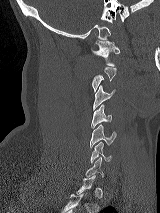 CT spine — sagittal view — Bone window (WL 400, WW 1800)
Each box given as x1,y1,x2,y2. Not every vertebra on this slice has a box: a vertebra is boxed only from the first to the last slice where its cross-section is at least a third of its largest, and this slice is outside that range for at least one of them. Vertebrae labeled: C1 at x1=92, y1=40, x2=119, y2=65, C3 at x1=93, y1=85, x2=115, y2=110, C4 at x1=91, y1=105, x2=111, y2=128, C5 at x1=90, y1=124, x2=116, y2=147, C6 at x1=90, y1=142, x2=111, y2=162.